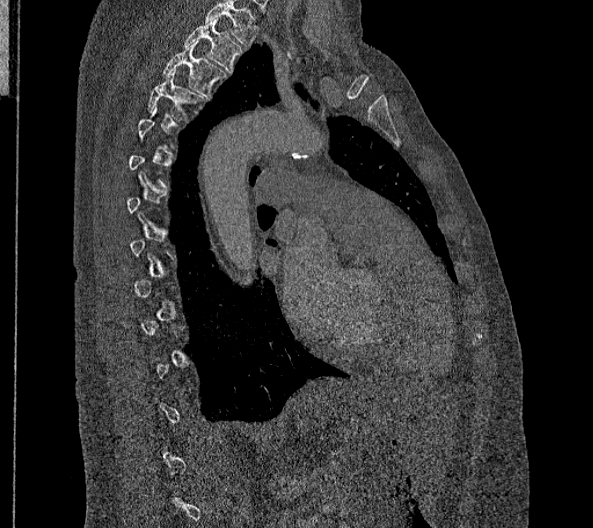
Spine computed tomography; sagittal view; image width 356 mm

Boxes are (x1, y1, x2, y2) in pixels. Each vertebra is boxed only on the slices from the first to the last where its cross-section reaches a third of its largest, so a slice outside that range leaves it unboxed. This scan's labels start at T2 at the top and end at L2 at the bottom. 3 vertebrae labeled — T4 at (147, 70, 204, 119); T3 at (162, 41, 227, 99); T2 at (184, 18, 242, 72).